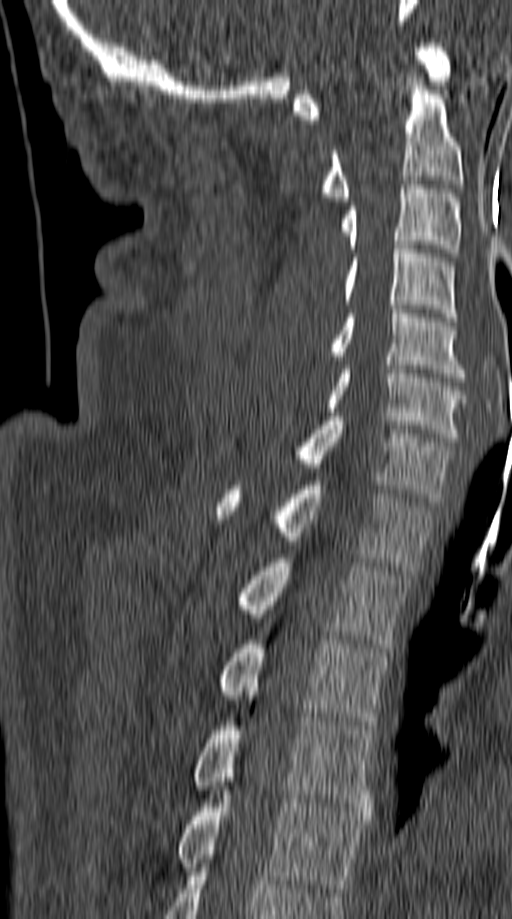

Spine CT · sagittal reformat · Bone window (WL 400, WW 1800) · 512x919 px
<vertebrae><v name="T5" x1="179" y1="790" x2="366" y2="892"/><v name="T4" x1="194" y1="709" x2="375" y2="815"/><v name="T3" x1="221" y1="640" x2="389" y2="729"/><v name="T2" x1="242" y1="558" x2="409" y2="652"/><v name="T1" x1="216" y1="481" x2="433" y2="570"/><v name="C7" x1="299" y1="417" x2="454" y2="502"/><v name="C6" x1="326" y1="365" x2="466" y2="441"/><v name="C5" x1="331" y1="309" x2="466" y2="377"/><v name="C4" x1="345" y1="241" x2="457" y2="321"/><v name="C3" x1="341" y1="180" x2="461" y2="257"/><v name="C2" x1="324" y1="86" x2="464" y2="201"/><v name="C1" x1="294" y1="43" x2="451" y2="119"/></vertebrae>